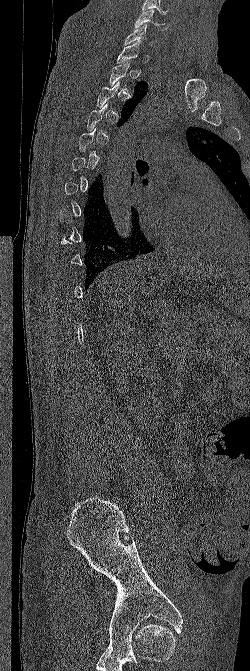 Spine CT. sagittal view. Bone window (WL 400, WW 1800). the image spans 250 mm across. 250x671 px. Coordinates as <box>x1,y1,x2,y2</box>. A vertebra gets a box only on the slices from the first to the last where its cross-section is at least a third of its largest; on a slice outside that range it gets none. The labeled vertebrae in this slice are: C6 at <box>134,9,167,30</box>, C7 at <box>124,24,154,46</box>.